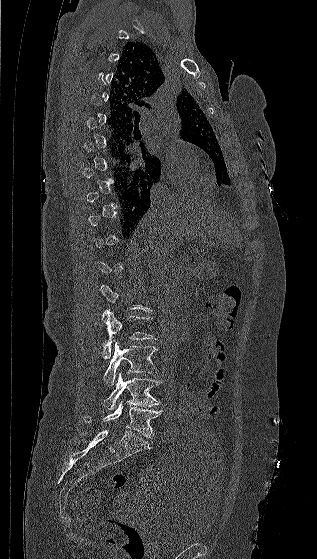 CT, spine. the image is 317 mm wide. sagittal view. bone window
Box values are [left, top, right, bottom] in pixels.
A vertebra gets a box only on the slices from the first to the last where its cross-section is at least a third of its largest; on a slice outside that range it gets none.
{"vertebrae":{"L2":[102,309,156,358],"L3":[103,340,158,386],"L4":[104,372,161,411],"L5":[84,401,161,437]}}